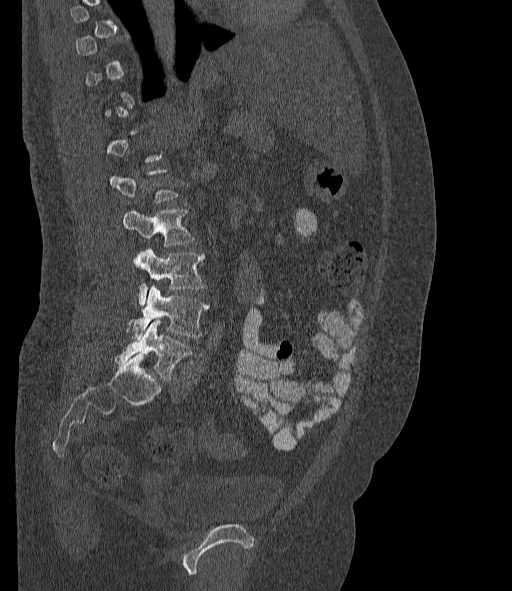

Spine CT — sagittal view — 512x591 px — 377 mm image width
A vertebra gets a box only on the slices from the first to the last where its cross-section is at least a third of its largest; on a slice outside that range it gets none.
These labels give the spine a sixth lumbar vertebra, L6, below L5.
<vertebrae><v name="L3" x1="123" y1="208" x2="194" y2="246"/><v name="L4" x1="134" y1="249" x2="204" y2="306"/><v name="L5" x1="126" y1="285" x2="209" y2="339"/><v name="L6" x1="115" y1="319" x2="192" y2="381"/></vertebrae>